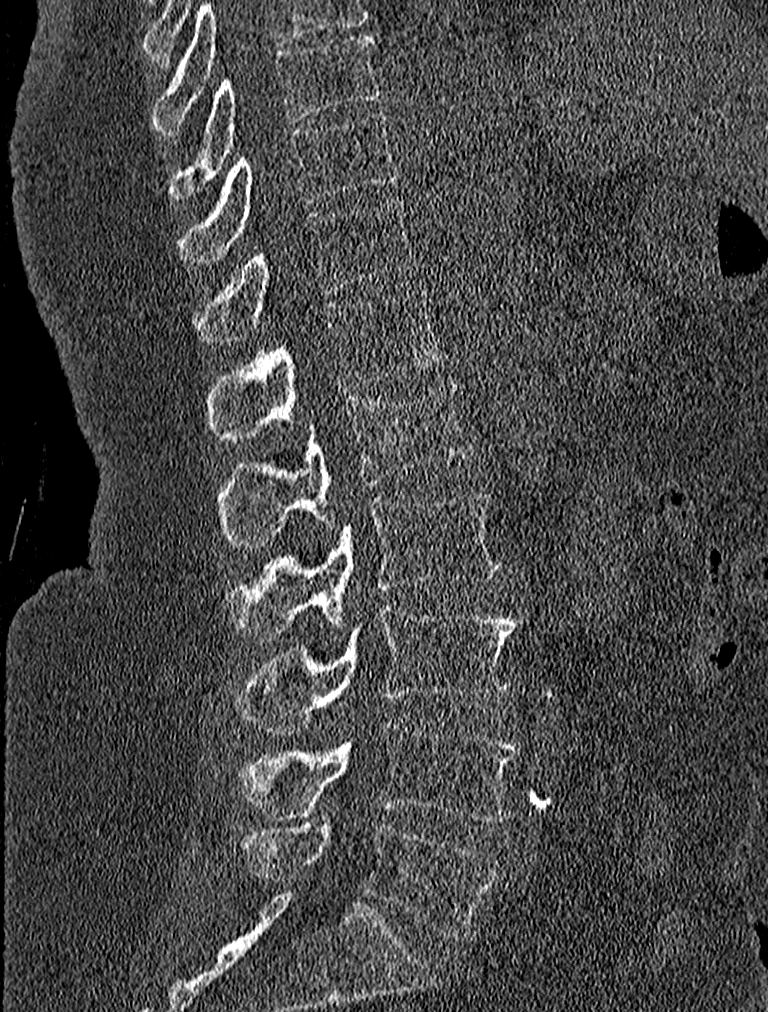

CT; sagittal view; the image is 227 mm wide; bone-window reconstruction

Boxes: x1:y1:x2:y2 in pixels.
T9: 168:33:380:201
T10: 178:111:400:262
T11: 195:199:417:345
T12: 209:288:444:439
L1: 219:379:471:546
L2: 225:490:502:640
L3: 236:604:522:734
L4: 239:722:520:820
L5: 239:821:499:938